Spine computed tomography · sagittal plane, index 114 · bone window · 9 vertebrae labeled in this scan · 250 mm image width
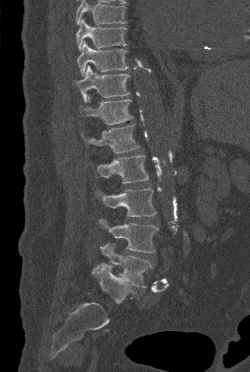
Vertebrae that run past the top of the scan are left unlabeled.
<vertebrae><v name="L5" x1="92" y1="243" x2="152" y2="287"/><v name="L4" x1="99" y1="219" x2="158" y2="253"/><v name="L3" x1="95" y1="188" x2="156" y2="216"/><v name="L2" x1="97" y1="155" x2="148" y2="183"/><v name="L1" x1="81" y1="124" x2="139" y2="153"/><v name="T12" x1="80" y1="95" x2="132" y2="124"/><v name="T11" x1="74" y1="65" x2="130" y2="101"/><v name="T10" x1="77" y1="41" x2="128" y2="76"/><v name="T9" x1="76" y1="18" x2="126" y2="50"/></vertebrae>